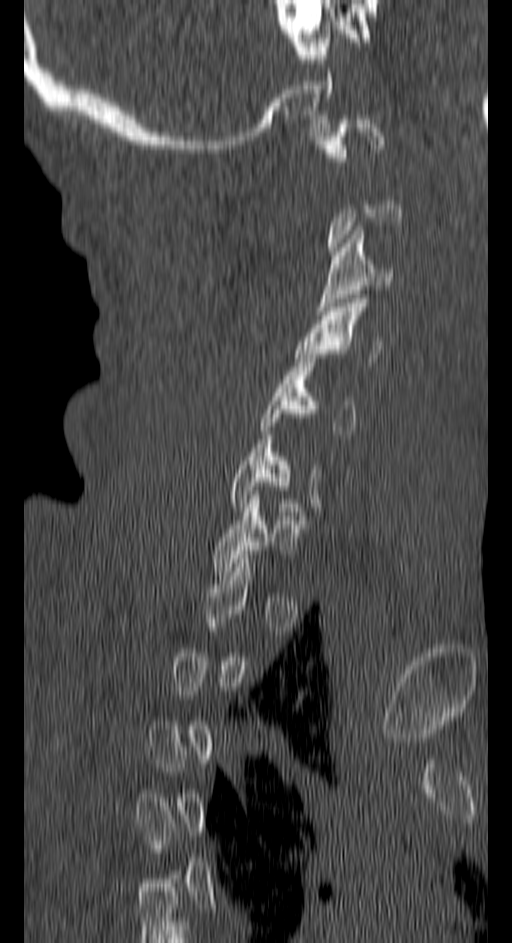 CT, spine. sagittal view. 512x943 px
Box values are [left, top, right, bottom] in pixels.
Not every vertebra on this slice has a box: a vertebra is boxed only from the first to the last slice where its cross-section is at least a third of its largest, and this slice is outside that range for at least one of them.
{"vertebrae":{"C1":[315,115,383,165],"C3":[316,226,393,310],"C4":[295,299,381,366],"C5":[261,354,355,434],"C6":[230,439,321,507],"C7":[213,495,298,575]}}